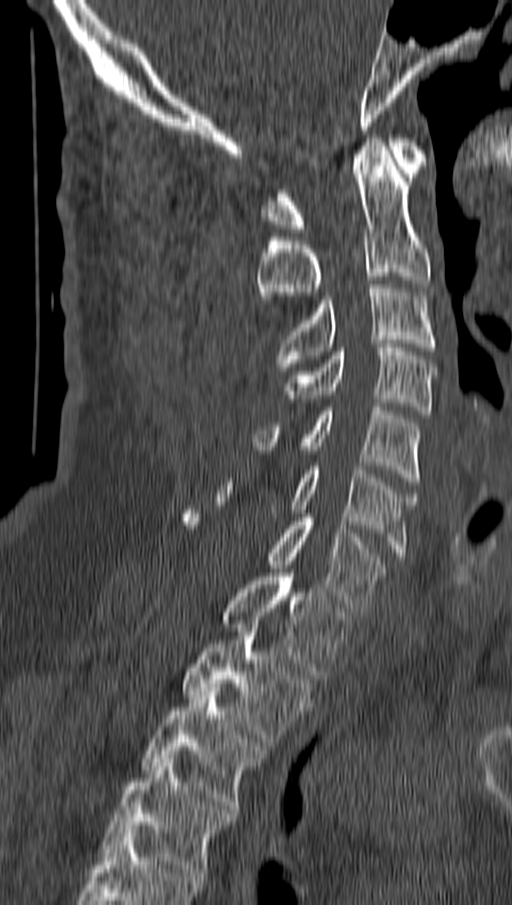
Computed tomography of the spine; sagittal view; bone window
Boxes are (x1, y1, x2, y2) in pixels.
Vertebra bounding boxes:
- T4: (102, 759, 234, 880)
- T3: (140, 687, 266, 809)
- T2: (181, 628, 313, 746)
- T1: (222, 569, 351, 679)
- C7: (181, 510, 386, 611)
- C6: (217, 466, 417, 560)
- C5: (253, 407, 420, 485)
- C4: (286, 344, 436, 418)
- C3: (275, 284, 436, 370)
- C2: (257, 138, 430, 311)
- C1: (263, 138, 426, 232)